Spine computed tomography · sagittal plane, index 157 · 140 mm wide · 512x1010 px · 12 vertebrae labeled in this scan
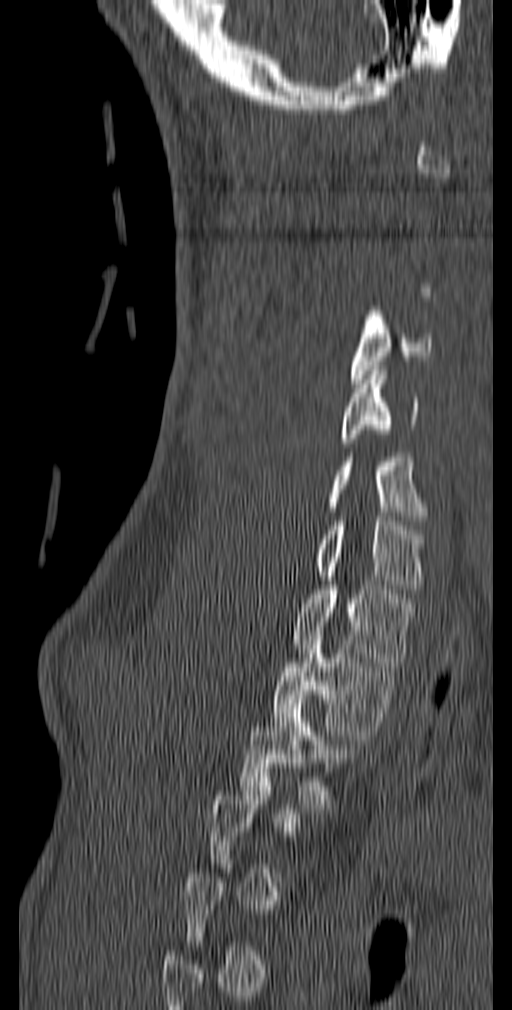

Each vertebra maps to its box as [x1, y1, x2, y2], the pixel coordinates of its top-left and bottom-right corners.
Each vertebra is boxed only on the slices from the first to the last where its cross-section reaches a third of its largest, so a slice outside that range leaves it unboxed.
{"vertebrae":{"C4":[351,306,432,383],"C5":[340,366,419,447],"C6":[326,453,425,525],"C7":[316,521,425,593],"T1":[292,585,415,666],"T2":[270,645,400,740],"T3":[239,695,357,808]}}